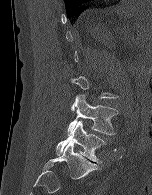
Spine CT · sagittal reformat · the image is 152 mm wide
Each box is [x1, y1, x2, y2] in pixels: top-left corner, then bottom-right corner.
A vertebra gets a box only on the slices from the first to the last where its cross-section is at least a third of its largest; on a slice outside that range it gets none.
{"vertebrae":{"L4":[67,94,118,135],"L5":[56,120,106,163]}}